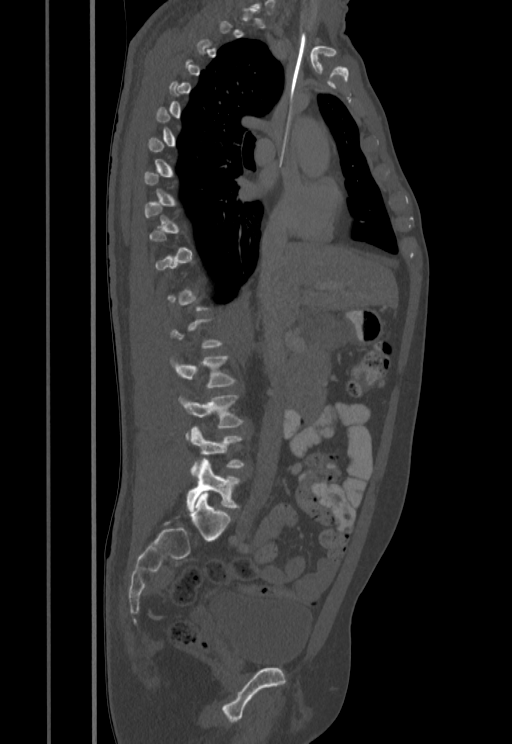
CT spine — sagittal view — the image is 455 mm wide — 512x744 px. Boxes: x1:y1:x2:y2 in pixels.
A vertebra gets a box only on the slices from the first to the last where its cross-section is at least a third of its largest; on a slice outside that range it gets none.
Vertebra bounding boxes:
- L2: 170:356:235:387
- L3: 178:395:243:439
- L4: 189:426:244:476
- L5: 187:460:240:511